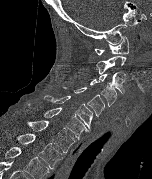 CT, spine; sagittal view; 152 mm image width. Boxes: x1 y1 x2 y2 (pixel coords, space-separated).
In this scan, the topmost labeled vertebra is C1 and the lowest is T2.
T2: 17 133 63 168
T1: 27 120 75 152
C7: 28 104 88 139
C6: 44 95 92 129
C5: 63 87 104 117
C4: 90 79 117 106
C3: 98 70 125 95
C2: 96 55 126 74
C1: 95 36 129 55